Spine CT — sagittal view — bone-window reconstruction
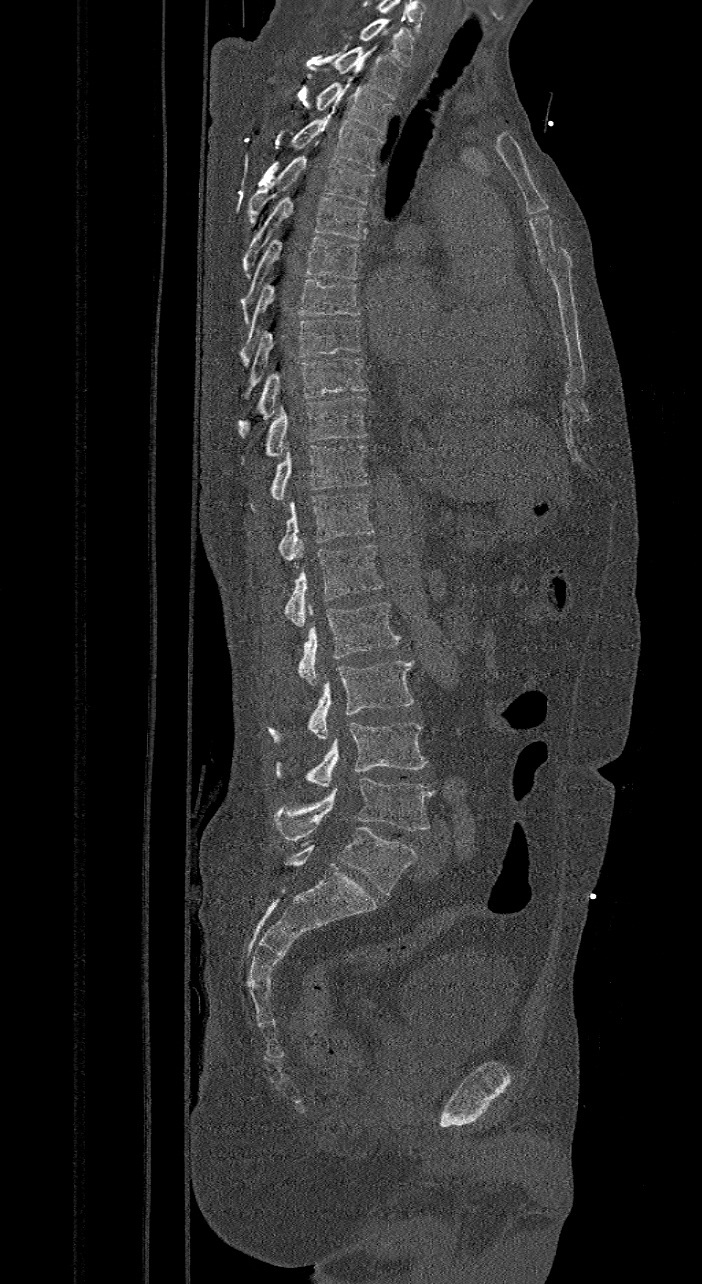

In this scan, the topmost labeled vertebra is C7 and the lowest is L6.
In these labels the spine has an L6, a sixth lumbar vertebra below L5.
<vertebrae><v name="L6" x1="285" y1="826" x2="416" y2="895"/><v name="L5" x1="275" y1="778" x2="432" y2="842"/><v name="L4" x1="275" y1="723" x2="427" y2="787"/><v name="L3" x1="269" y1="661" x2="414" y2="742"/><v name="L2" x1="299" y1="602" x2="401" y2="685"/><v name="L1" x1="285" y1="545" x2="384" y2="626"/><v name="T12" x1="278" y1="492" x2="375" y2="560"/><v name="T11" x1="270" y1="444" x2="368" y2="500"/><v name="T10" x1="240" y1="395" x2="368" y2="463"/><v name="T9" x1="234" y1="357" x2="368" y2="437"/><v name="T8" x1="245" y1="319" x2="361" y2="394"/><v name="T7" x1="240" y1="278" x2="361" y2="367"/><v name="T6" x1="240" y1="235" x2="359" y2="324"/><v name="T5" x1="243" y1="197" x2="366" y2="278"/><v name="T4" x1="247" y1="142" x2="375" y2="223"/><v name="T3" x1="262" y1="119" x2="383" y2="170"/><v name="T2" x1="312" y1="82" x2="392" y2="134"/><v name="T1" x1="332" y1="45" x2="402" y2="100"/><v name="C7" x1="358" y1="18" x2="414" y2="64"/></vertebrae>